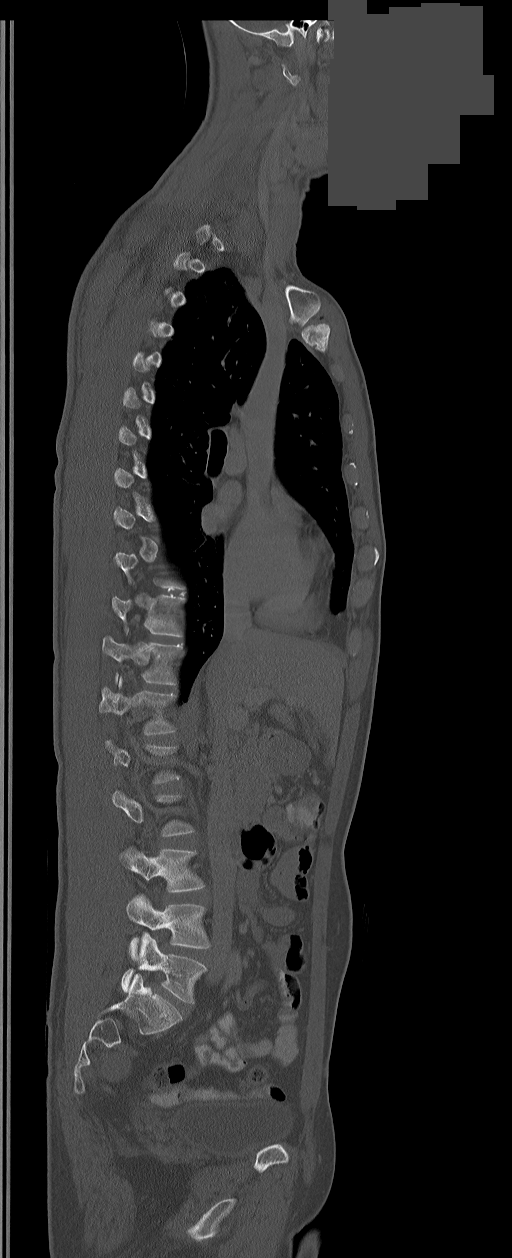
CT · sagittal view · W/L 1800/400 HU · 512x1258 px · part of the image has been replaced by a constant value. Coordinates as <box>x1,y1,x2,y2</box>.
Not every vertebra on this slice has a box: a vertebra is boxed only from the first to the last slice where its cross-section is at least a third of its largest, and this slice is outside that range for at least one of them.
The labels name a sixth lumbar vertebra for this spine: L6, after L5.
T11: <box>111,596,184,636</box>
T12: <box>103,637,182,684</box>
L1: <box>100,678,175,735</box>
L4: <box>120,849,204,892</box>
L5: <box>126,894,210,957</box>
L6: <box>122,933,205,1003</box>